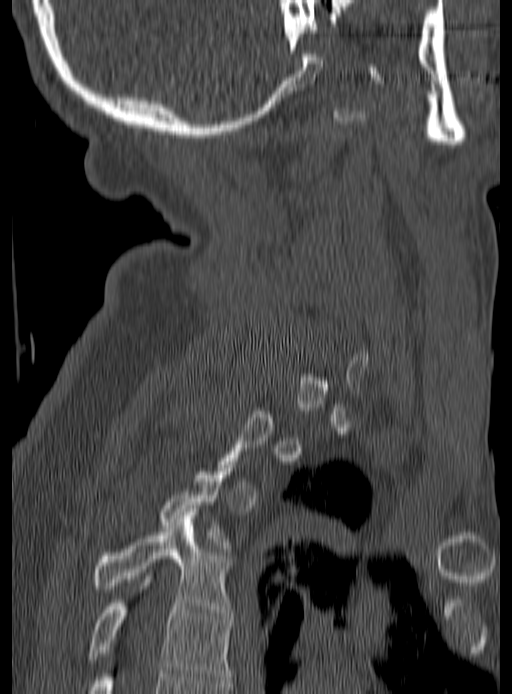

Computed tomography of the spine — sagittal view — bone-window reconstruction
Box values are [left, top, right, bottom] in pixels.
Not every vertebra on this slice has a box: a vertebra is boxed only from the first to the last slice where its cross-section is at least a third of its largest, and this slice is outside that range for at least one of them.
{"vertebrae":{"T4":[92,512,232,615],"T5":[87,579,232,683]}}